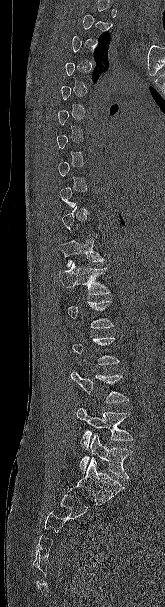
CT. sagittal view. Bone window (WL 400, WW 1800). 165x607 px

Boxes: x1 y1 x2 y2 (pixel coords, space-separated). Each vertebra is boxed only on the slices from the first to the last where its cross-section reaches a third of its largest, so a slice outside that range leaves it unboxed. The labeled vertebrae in this slice are: T11 at 60 238 106 268, T12 at 59 262 110 294, L3 at 71 371 129 402, L4 at 76 407 133 450, L5 at 80 433 132 479.